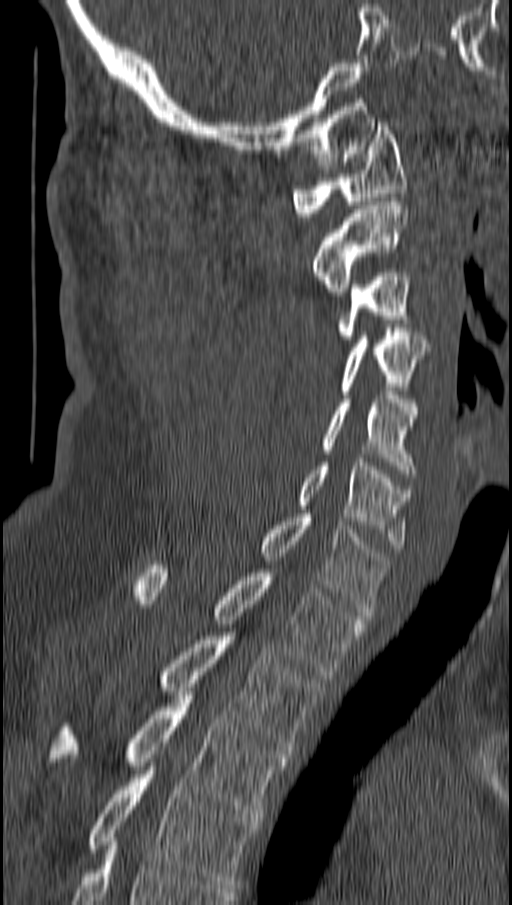 CT spine; sagittal view

Each vertebra maps to its box as [x1, y1, x2, y2], the pixel coordinates of its top-left and bottom-right corners.
{"vertebrae":{"T4":[86,766,259,888],"T3":[45,691,288,817],"T2":[159,636,319,754],"T1":[136,565,364,675],"C7":[260,514,389,615],"C6":[298,458,411,548],"C5":[320,391,417,477],"C4":[339,328,429,394],"C3":[336,273,411,343],"C2":[311,201,408,295],"C1":[292,122,405,216]}}